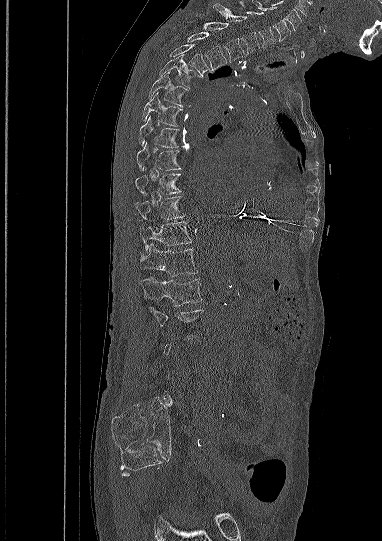

CT, spine; sagittal view; bone window; image 382 mm wide; 382x541 px

Columns x1, y1, x2, y2 give each box's top-left and bottom-right pixels.
A vertebra gets a box only on the slices from the first to the last where its cross-section is at least a third of its largest; on a slice outside that range it gets none.
| vertebra | x1 | y1 | x2 | y2 |
|---|---|---|---|---|
| L1 | 140 | 277 | 201 | 305 |
| T12 | 140 | 243 | 197 | 276 |
| T11 | 140 | 221 | 191 | 251 |
| T10 | 135 | 196 | 185 | 221 |
| T9 | 135 | 167 | 181 | 197 |
| T8 | 136 | 142 | 179 | 170 |
| T7 | 139 | 116 | 179 | 147 |
| T6 | 142 | 92 | 182 | 126 |
| T5 | 148 | 72 | 189 | 107 |
| T4 | 159 | 55 | 200 | 86 |
| T3 | 168 | 44 | 209 | 76 |
| T2 | 188 | 32 | 226 | 70 |
| T1 | 203 | 21 | 244 | 62 |
| C7 | 213 | 2 | 259 | 54 |
| C6 | 240 | 1 | 275 | 47 |
| C5 | 252 | 0 | 291 | 40 |